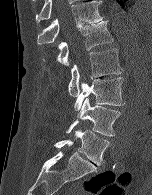
CT spine; image 152 mm wide; sagittal view
Coordinates as <box>x1,y1,x2,y2</box>.
L5: <box>54,130,109,165</box>
L4: <box>66,97,121,136</box>
L3: <box>74,77,125,111</box>
L2: <box>68,48,122,96</box>
L1: <box>42,21,113,66</box>
T12: <box>37,1,103,44</box>